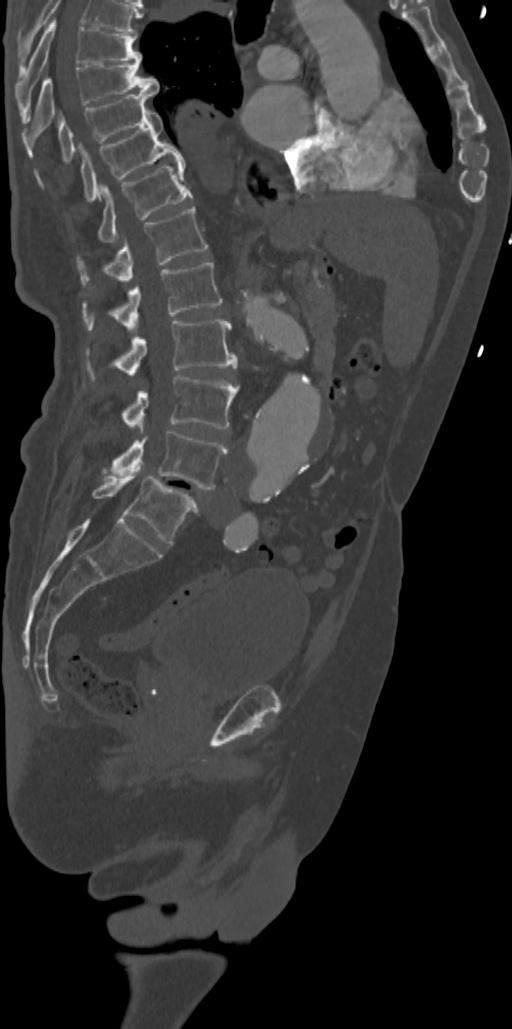

Spine CT · sagittal view

Boxes: x1:y1:x2:y2 in pixels. This scan's labels start at T7 at the top and end at L5 at the bottom. The labeled vertebrae in this slice are: T7 at 18:20:141:120, T8 at 24:61:160:138, T9 at 58:90:155:161, T10 at 81:110:184:201, T11 at 99:162:192:242, T12 at 78:207:207:282, L1 at 82:261:222:331, L2 at 115:319:237:376, L3 at 123:375:238:433, L4 at 109:431:226:489, L5 at 93:472:198:543.